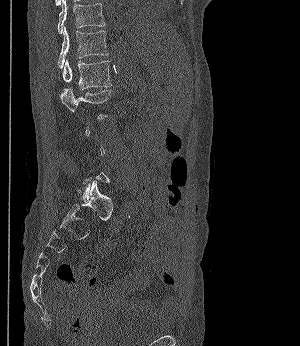

Computed tomography of the spine. sagittal view. 300x346 px

In the table, x1 and y1 are a box's top-left corner and x2 and y2 its bottom-right corner, in pixels.
A vertebra is boxed only from the first to the last slice where its cross-section is at least a third of its largest; slices outside that range leave it without a box.
| vertebra | x1 | y1 | x2 | y2 |
|---|---|---|---|---|
| L2 | 60 | 88 | 110 | 119 |
| L1 | 63 | 60 | 111 | 89 |
| T12 | 58 | 27 | 108 | 68 |
| T11 | 57 | 0 | 104 | 33 |